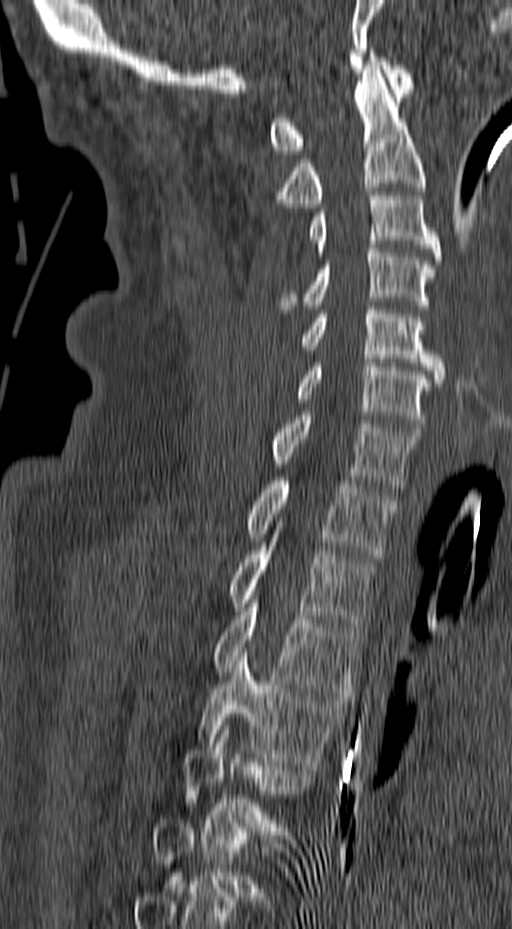
CT · sagittal reformat · 512x929 px
Boxes: x1:y1:x2:y2 in pixels.
Not every vertebra on this slice has a box: a vertebra is boxed only from the first to the last slice where its cross-section is at least a third of its largest, and this slice is outside that range for at least one of them.
C1: 270:53:414:154
C2: 275:65:425:207
C3: 308:188:441:260
C4: 276:249:435:309
C5: 301:306:446:386
C6: 295:359:432:431
C7: 269:412:421:488
T1: 246:477:398:557
T2: 226:542:375:627
T3: 210:599:362:696
T4: 197:652:349:769
T5: 184:722:313:835